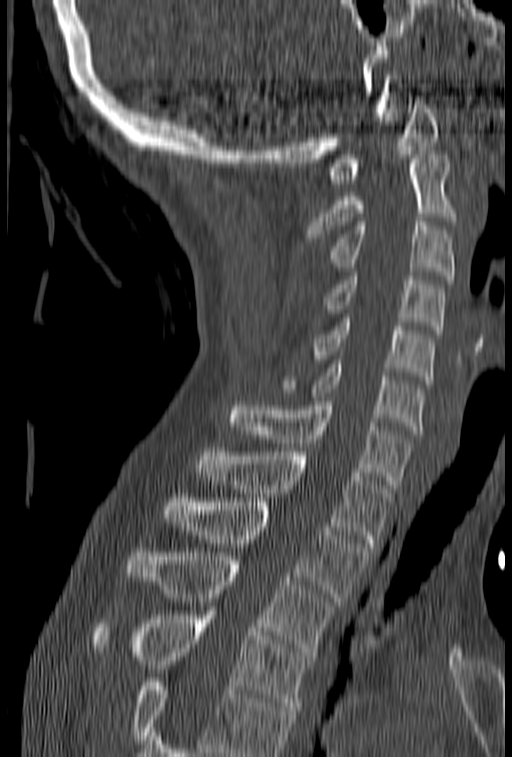
CT. image 153 mm wide. sagittal view. Coordinates as <box>x1,y1,x2,y2</box>. Where the bottom of the scan cuts through a vertebra, that vertebra gets no label or box. 11 vertebrae labeled — C1 at <box>329,96,439,183</box>; C2 at <box>306,155,455,242</box>; C3 at <box>329,218,455,279</box>; C4 at <box>322,272,445,334</box>; C5 at <box>312,314,435,380</box>; C6 at <box>280,360,425,434</box>; C7 at <box>229,397,412,488</box>; T1 at <box>198,448,392,547</box>; T2 at <box>164,498,368,601</box>; T3 at <box>127,548,335,656</box>; T4 at <box>91,615,312,710</box>.